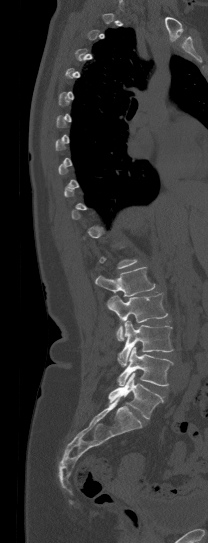

CT · 208 mm wide · sagittal view

Boxes: x1:y1:x2:y2 in pixels.
A vertebra gets a box only on the slices from the first to the last where its cross-section is at least a third of its largest; on a slice outside that range it gets none.
L5: 108:373:162:419
L4: 117:347:173:386
L3: 117:321:172:366
L2: 107:292:167:340
L1: 95:267:155:296